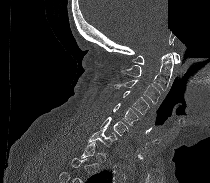 CT spine. sagittal view. Bone window (WL 400, WW 1800). 210x183 px. a region of this slice is masked with a uniform fill
Boxes: x1 y1 x2 y2 (pixel coords, space-separated). A vertebra is boxed only from the first to the last slice where its cross-section is at least a third of its largest; slices outside that range leave it without a box. Vertebrae labeled: C7 at 88 129 116 146, C6 at 99 117 128 142, C5 at 113 103 138 125, C4 at 123 91 149 114, C3 at 114 80 160 104, C2 at 121 53 173 90, C1 at 132 52 180 64.